CT; sagittal view; bone window; 365x619 px
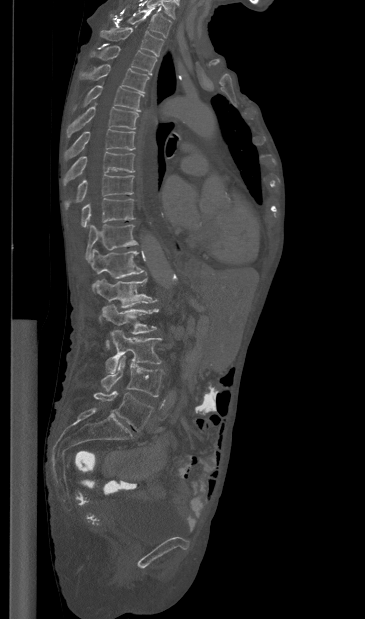
Box edges are left/top/right/bottom in pixels.
Vertebra bounding boxes:
- L5: left=93, top=391, right=152, bottom=431
- L4: left=101, top=356, right=163, bottom=397
- L3: left=106, top=330, right=162, bottom=373
- L2: left=102, top=304, right=158, bottom=348
- L1: left=96, top=278, right=157, bottom=320
- T12: left=90, top=248, right=144, bottom=290
- T11: left=85, top=224, right=137, bottom=261
- T10: left=81, top=198, right=135, bottom=227
- T9: left=64, top=174, right=134, bottom=209
- T8: left=62, top=151, right=134, bottom=185
- T7: left=64, top=129, right=135, bottom=160
- T6: left=66, top=105, right=138, bottom=137
- T5: left=73, top=85, right=143, bottom=111
- T4: left=80, top=64, right=148, bottom=92
- T3: left=91, top=45, right=156, bottom=74
- T2: left=100, top=27, right=163, bottom=55
- T1: left=110, top=8, right=171, bottom=37